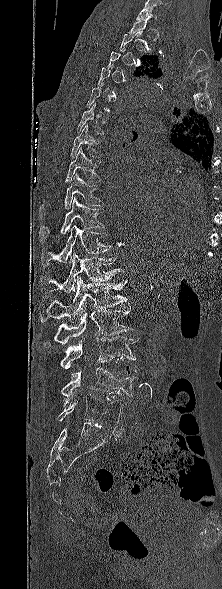 CT, spine · sagittal view · bone window
Each box given as x1,y1,x2,y2.
A vertebra gets a box only on the slices from the first to the last where its cross-section is at least a third of its largest; on a slice outside that range it gets none.
| vertebra | x1 | y1 | x2 | y2 |
|---|---|---|---|---|
| T6 | 77 | 103 | 105 | 135 |
| T7 | 70 | 124 | 101 | 158 |
| T8 | 65 | 148 | 99 | 181 |
| T9 | 39 | 173 | 103 | 218 |
| T10 | 39 | 197 | 104 | 240 |
| T11 | 41 | 224 | 111 | 266 |
| T12 | 41 | 252 | 124 | 297 |
| L1 | 39 | 276 | 127 | 322 |
| L2 | 45 | 305 | 134 | 344 |
| L3 | 60 | 336 | 138 | 379 |
| L4 | 61 | 367 | 138 | 407 |
| L5 | 58 | 395 | 125 | 429 |